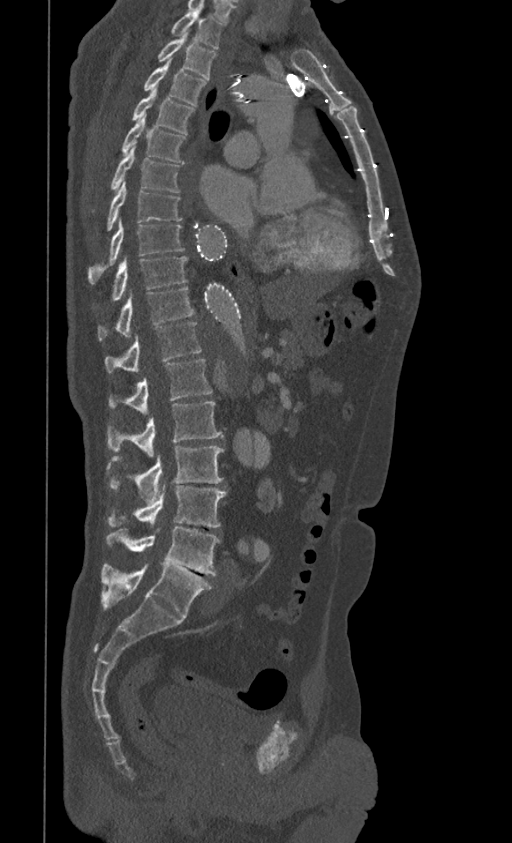
CT, spine; sagittal view; bone-window reconstruction

Each box given as x1,y1,x2,y2.
L5: x1=101, y1=565, x2=212, y2=618
L4: x1=105, y1=527, x2=220, y2=575
L3: x1=108, y1=484, x2=226, y2=527
L2: x1=106, y1=446, x2=223, y2=500
L1: x1=106, y1=402, x2=222, y2=456
T12: x1=109, y1=359, x2=212, y2=414
T11: x1=105, y1=322, x2=202, y2=372
T10: x1=97, y1=288, x2=194, y2=342
T9: x1=92, y1=256, x2=187, y2=309
T8: x1=87, y1=219, x2=185, y2=284
T7: x1=105, y1=181, x2=182, y2=231
T6: x1=91, y1=147, x2=180, y2=211
T5: x1=120, y1=115, x2=186, y2=163
T4: x1=131, y1=89, x2=195, y2=134
T3: x1=144, y1=66, x2=207, y2=105
T2: x1=157, y1=36, x2=217, y2=79
T1: x1=171, y1=10, x2=223, y2=49